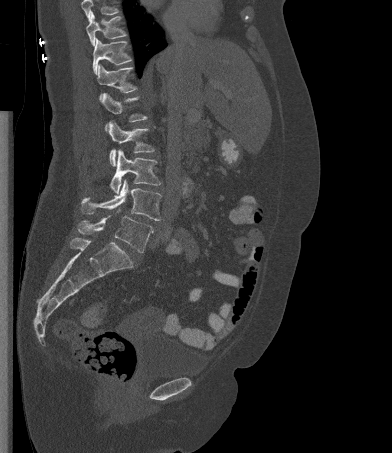 Computed tomography of the spine · sagittal reformat · Bone window (WL 400, WW 1800)
Where the top of the scan cuts through a vertebra, that vertebra gets no label or box.
<vertebrae><v name="T10" x1="86" y1="12" x2="126" y2="46"/><v name="T11" x1="92" y1="38" x2="132" y2="74"/><v name="T12" x1="97" y1="64" x2="137" y2="99"/><v name="L1" x1="100" y1="93" x2="147" y2="129"/><v name="L2" x1="108" y1="121" x2="155" y2="166"/><v name="L3" x1="110" y1="149" x2="161" y2="193"/><v name="L4" x1="81" y1="179" x2="161" y2="220"/><v name="L5" x1="77" y1="209" x2="153" y2="252"/></vertebrae>